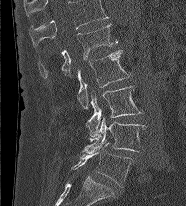 CT, spine; sagittal reformat; W/L 1800/400 HU; 186x206 px. Boxes are (x1, y1, x2, y2) in pixels. In this scan, the topmost labeled vertebra is L1 and the lowest is L5. 5 vertebrae labeled — L1 at (38, 23, 117, 79); L2 at (77, 50, 131, 108); L3 at (86, 86, 142, 140); L4 at (84, 117, 146, 154); L5 at (70, 142, 133, 186).